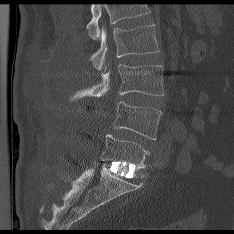

CT spine — sagittal reformat — W/L 1800/400 HU

Boxes: x1:y1:x2:y2 in pixels.
A vertebra cut off by the top edge of the scan is not labeled and has no box.
L5: 101:134:149:168
L4: 114:101:161:139
L3: 70:64:163:100
L2: 90:25:159:70